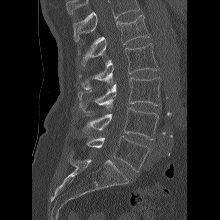

CT · sagittal view · 220 mm image width
Columns x1, y1, x2, y2 give each box's top-left and bottom-right pixels.
No box is given to a vertebra that the top edge of the scan cuts off.
| vertebra | x1 | y1 | x2 | y2 |
|---|---|---|---|---|
| L1 | 78 | 14 | 149 | 65 |
| L2 | 78 | 43 | 158 | 89 |
| L3 | 78 | 77 | 160 | 110 |
| L4 | 82 | 107 | 158 | 139 |
| L5 | 86 | 136 | 150 | 171 |